CT, spine. sagittal view. 7 vertebrae labeled in this scan
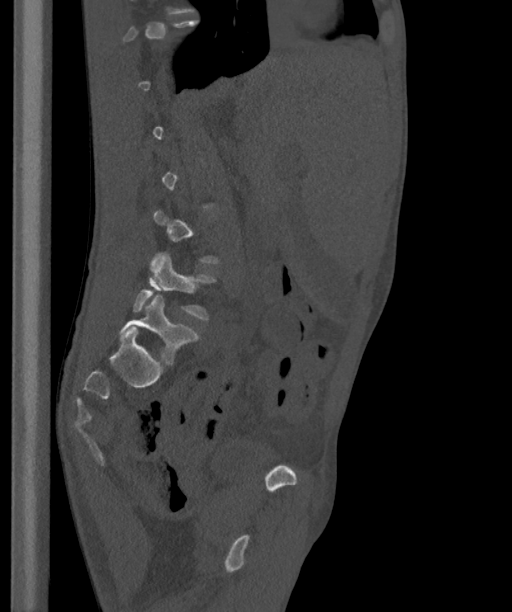

Not every vertebra on this slice has a box: a vertebra is boxed only from the first to the last slice where its cross-section is at least a third of its largest, and this slice is outside that range for at least one of them.
The labels name a sixth lumbar vertebra for this spine: L6, after L5.
<vertebrae><v name="L6" x1="119" y1="295" x2="199" y2="365"/><v name="L5" x1="132" y1="253" x2="216" y2="320"/></vertebrae>